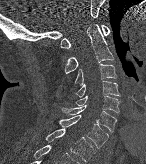
CT · sagittal view · bone window · the image spans 146 mm across. In the table, x1 and y1 are a box's top-left corner and x2 and y2 its bottom-right corner, in pixels.
| vertebra | x1 | y1 | x2 | y2 |
|---|---|---|---|---|
| C1 | 60 | 25 | 110 | 48 |
| C2 | 65 | 24 | 113 | 73 |
| C3 | 74 | 63 | 116 | 86 |
| C4 | 75 | 80 | 119 | 97 |
| C5 | 74 | 94 | 119 | 113 |
| C6 | 62 | 105 | 116 | 132 |
| C7 | 58 | 115 | 108 | 148 |
| T1 | 45 | 128 | 95 | 162 |